Spine computed tomography; sagittal view; W/L 1800/400 HU; 531x786 px
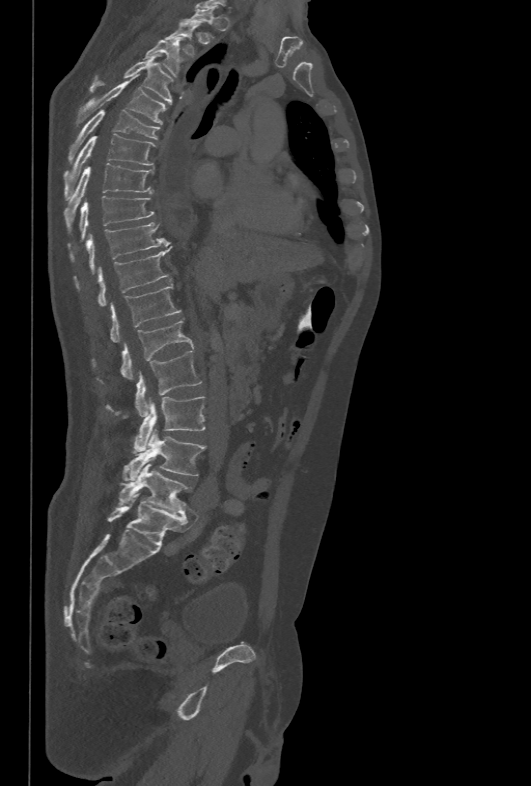 Boxes: x1 y1 x2 y2 (pixel coords, space-separated). Not every vertebra on this slice has a box: a vertebra is boxed only from the first to the last slice where its cross-section is at least a third of its largest, and this slice is outside that range for at least one of them. 15 vertebrae labeled — T3 at 144 36 184 77; T4 at 90 54 172 103; T5 at 76 79 167 126; T6 at 67 109 159 162; T7 at 63 134 156 199; T8 at 64 163 154 232; T9 at 79 196 154 237; T10 at 87 223 168 274; T11 at 98 247 170 305; T12 at 110 284 182 342; L1 at 121 319 193 379; L2 at 136 350 201 416; L3 at 133 396 204 453; L4 at 122 428 205 481; L5 at 119 463 191 515.